CT, spine; sagittal reformat; bone window; 512x1305 px; 23 vertebrae labeled in this scan; a uniform gray block covers part of the image
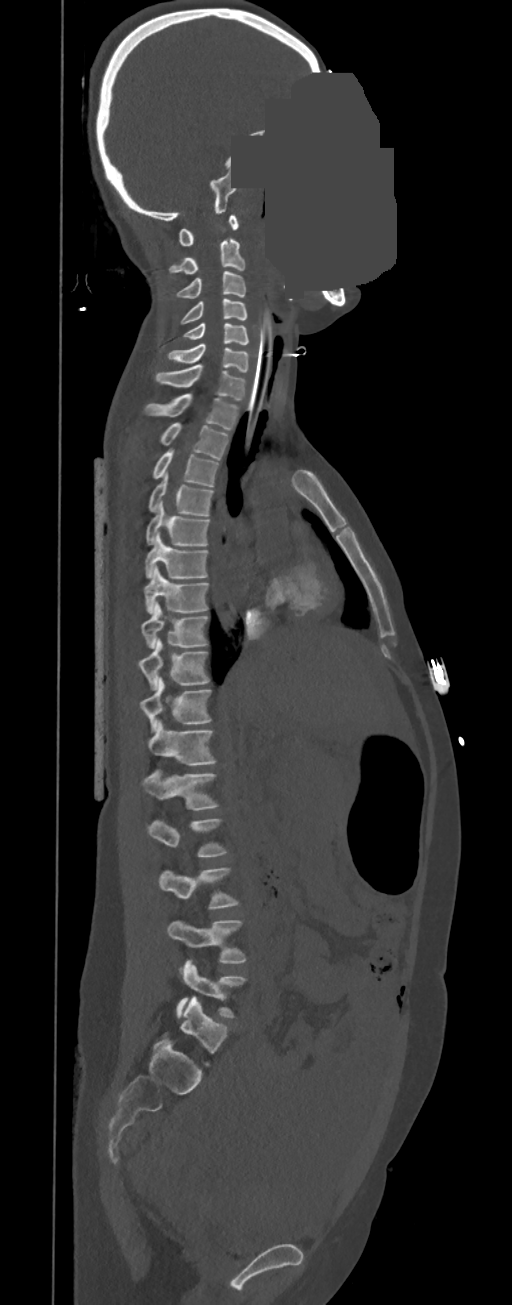
Bounding boxes as [x1, y1, x2, y2] in pixel coordinates.
In these labels the thoracic vertebrae end at T11, so L1 follows T11.
Vertebra bounding boxes:
- C1: [178, 215, 239, 245]
- C2: [169, 238, 245, 274]
- C3: [175, 270, 246, 298]
- C4: [180, 299, 247, 324]
- C5: [183, 323, 249, 344]
- C6: [168, 344, 249, 372]
- C7: [155, 365, 246, 401]
- T1: [145, 394, 238, 430]
- T2: [159, 423, 228, 460]
- T3: [152, 448, 218, 486]
- T4: [148, 473, 214, 516]
- T5: [146, 500, 209, 545]
- T6: [145, 532, 208, 578]
- T7: [145, 566, 208, 614]
- T8: [140, 602, 208, 648]
- T9: [137, 639, 209, 690]
- T10: [140, 677, 211, 732]
- T11: [148, 720, 215, 765]
- L1: [142, 769, 218, 810]
- L2: [148, 819, 227, 856]
- L3: [159, 868, 239, 909]
- L4: [167, 920, 246, 972]
- L5: [176, 960, 246, 1018]